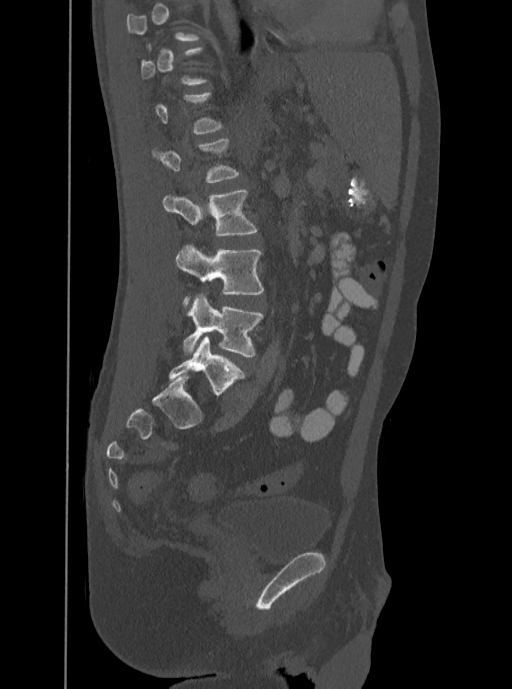 Spine CT · sagittal reformat · the image is 350 mm wide · Bone window (WL 400, WW 1800)
Each row gives a vertebra's box as x1, y1, x2, y2 in pixels: top-left corner, then bottom-right corner.
Each vertebra is boxed only on the slices from the first to the last where its cross-section reaches a third of its largest, so a slice outside that range leaves it unboxed.
| vertebra | x1 | y1 | x2 | y2 |
|---|---|---|---|---|
| L2 | 150 | 137 | 240 | 183 |
| L3 | 162 | 190 | 258 | 236 |
| L4 | 175 | 244 | 264 | 306 |
| L5 | 183 | 294 | 264 | 357 |